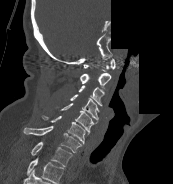
CT spine · sagittal reformat · bone-window reconstruction · 173x184 px · some of the image was removed or blocked out with constant pixels
In this scan, the topmost labeled vertebra is C1 and the lowest is T1.
<vertebrae><v name="C1" x1="83" y1="58" x2="115" y2="71"/><v name="C2" x1="80" y1="73" x2="111" y2="88"/><v name="C3" x1="78" y1="85" x2="104" y2="106"/><v name="C4" x1="70" y1="94" x2="99" y2="123"/><v name="C5" x1="55" y1="103" x2="93" y2="132"/><v name="C6" x1="41" y1="115" x2="89" y2="144"/><v name="C7" x1="23" y1="126" x2="81" y2="152"/><v name="T1" x1="31" y1="141" x2="72" y2="166"/></vertebrae>